Computed tomography of the spine · sagittal reformat · 384 mm image width · bone-window reconstruction
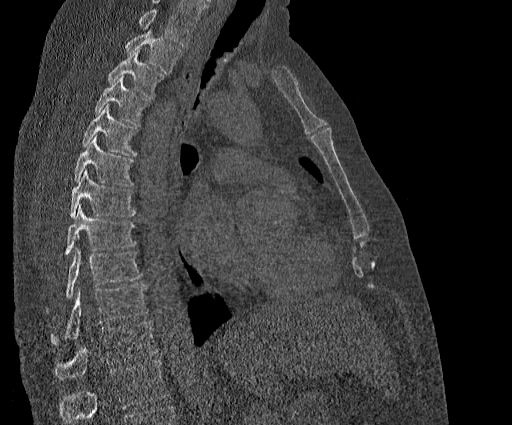
Each box given as x1,y1,x2,y2. Where the top of the scan cuts through a vertebra, that vertebra gets no label or box. The highest labeled vertebra in this scan is T2; the lowest is T11. The labeled vertebrae in this slice are: T2 at x1=125, y1=29, x2=181, y2=72, T3 at x1=108, y1=51, x2=163, y2=98, T4 at x1=94, y1=76, x2=148, y2=124, T5 at x1=82, y1=104, x2=136, y2=155, T6 at x1=74, y1=136, x2=134, y2=186, T7 at x1=70, y1=169, x2=135, y2=216, T8 at x1=65, y1=205, x2=135, y2=255, T9 at x1=66, y1=248, x2=141, y2=298, T10 at x1=50, y1=284, x2=148, y2=344, T11 at x1=54, y1=321, x2=157, y2=379.